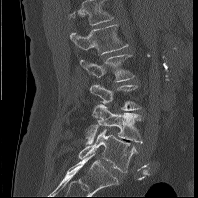
Computed tomography of the spine — 198 mm across the image — sagittal view — 198x198 px
Boxes below are [x1, y1, x2, y2] in pixels.
This scan's labels start at L1 at the top and end at L5 at the bottom.
{"vertebrae":{"L5":[78,128,136,172],"L4":[84,104,142,144],"L3":[90,84,141,110],"L2":[80,54,134,81],"L1":[70,24,128,54]}}